CT, spine — sagittal reformat
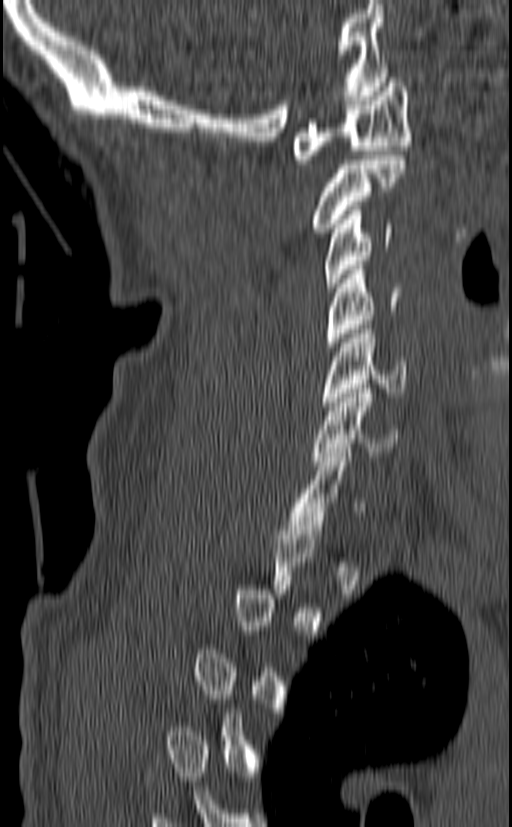
Box edges are left/top/right/bottom in pixels.
A vertebra gets a box only on the slices from the first to the last where its cross-section is at least a third of its largest; on a slice outside that range it gets none.
C7: left=287, top=448, right=363, bottom=534
C6: left=312, top=384, right=399, bottom=465
C5: left=320, top=325, right=406, bottom=406
C4: left=327, top=265, right=401, bottom=346
C3: left=324, top=206, right=394, bottom=292
C2: left=312, top=155, right=406, bottom=232
C1: left=290, top=78, right=412, bottom=164